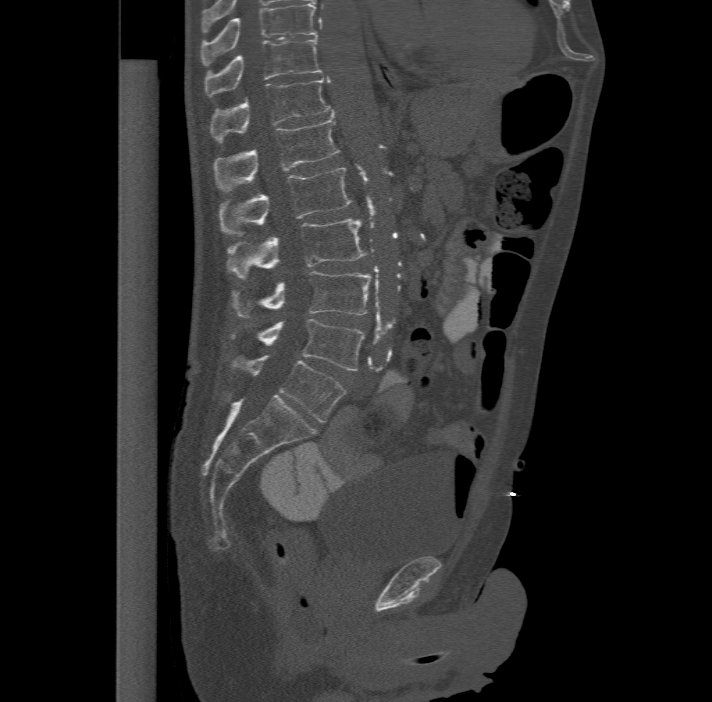
CT, spine · sagittal view · bone window · image 477 mm wide

In the table, x1 and y1 are a box's top-left corner and x2 and y2 its bottom-right corner, in pixels.
This scan's labels start at T11 at the top and end at L6 at the bottom.
In these labels the spine has an L6, a sixth lumbar vertebra below L5.
| vertebra | x1 | y1 | x2 | y2 |
|---|---|---|---|---|
| L6 | 231 | 354 | 345 | 422 |
| L5 | 229 | 318 | 365 | 370 |
| L4 | 231 | 270 | 372 | 317 |
| L3 | 225 | 218 | 366 | 279 |
| L2 | 220 | 167 | 351 | 235 |
| L1 | 213 | 116 | 340 | 190 |
| T12 | 210 | 76 | 333 | 141 |
| T11 | 204 | 37 | 322 | 96 |